CT — sagittal plane, index 206 — bone-window reconstruction
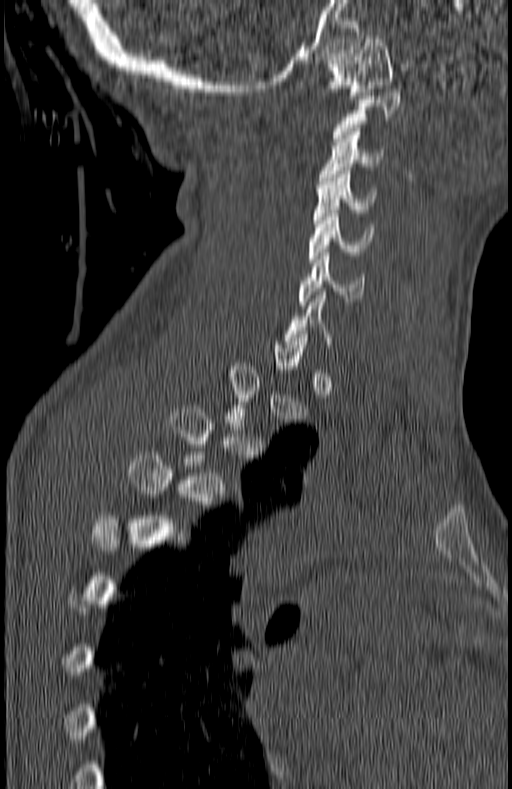

A vertebra is boxed only from the first to the last slice where its cross-section is at least a third of its largest; slices outside that range leave it without a box.
<vertebrae><v name="C1" x1="327" y1="36" x2="393" y2="99"/><v name="C3" x1="319" y1="128" x2="384" y2="184"/><v name="C4" x1="314" y1="171" x2="375" y2="223"/><v name="C5" x1="308" y1="210" x2="373" y2="262"/><v name="C6" x1="300" y1="252" x2="364" y2="305"/></vertebrae>